Spine computed tomography; sagittal plane, index 55; bone window; scan covers 20 annotated vertebrae
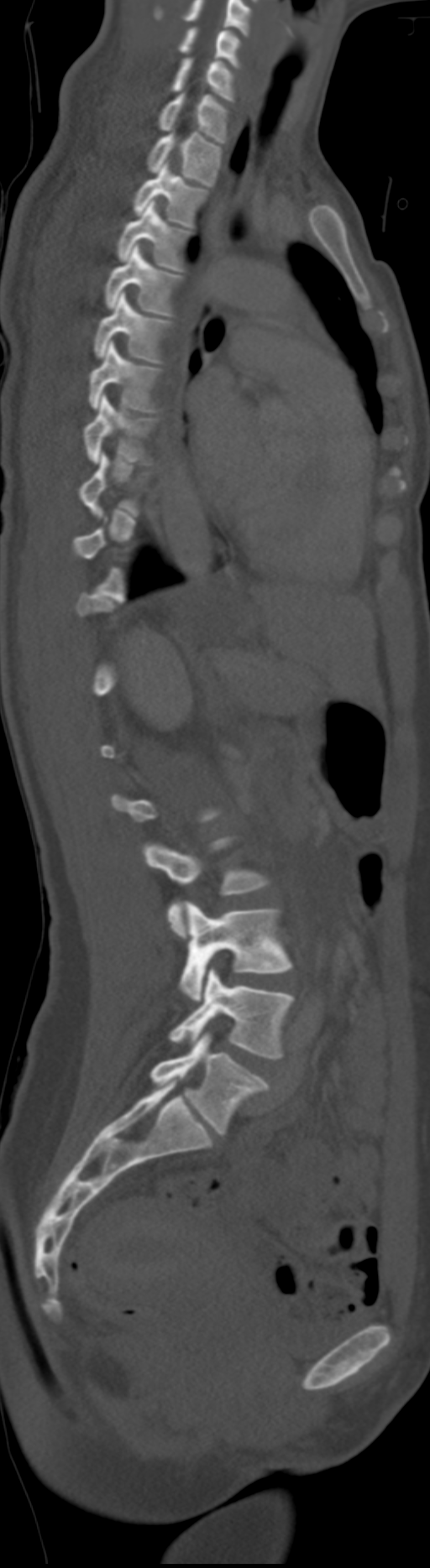

Box edges are left/top/right/bottom in pixels.
Each vertebra is boxed only on the slices from the first to the last where its cross-section reaches a third of its largest, so a slice outside that range leaves it unboxed.
This scan's labels start at C5 at the top and end at L6 at the bottom.
These labels give the spine a sixth lumbar vertebra, L6, below L5.
| vertebra | x1 | y1 | x2 | y2 |
|---|---|---|---|---|
| C5 | 178 | 27 | 241 | 67 |
| C6 | 171 | 56 | 233 | 101 |
| C7 | 158 | 92 | 228 | 143 |
| T1 | 146 | 132 | 222 | 186 |
| T2 | 133 | 162 | 208 | 227 |
| T3 | 118 | 201 | 191 | 270 |
| T4 | 104 | 244 | 181 | 315 |
| T5 | 93 | 291 | 172 | 362 |
| T6 | 89 | 340 | 161 | 411 |
| T7 | 84 | 395 | 157 | 463 |
| L3 | 144 | 837 | 271 | 937 |
| L4 | 179 | 901 | 293 | 1002 |
| L5 | 169 | 967 | 293 | 1058 |
| L6 | 150 | 1031 | 267 | 1134 |